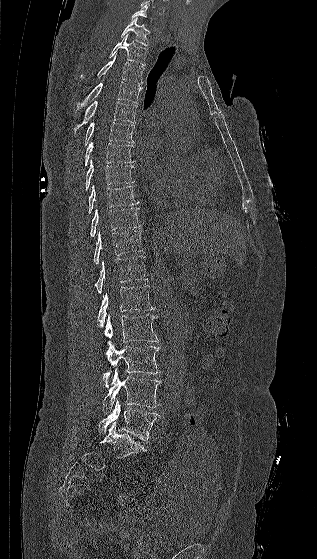 Spine computed tomography; sagittal reformat; image 317 mm wide
Boxes are given in columns x1, y1, x2, y2, the pixel coordinates of their top-left and bottom-right corners.
Each vertebra is boxed only on the slices from the first to the last where its cross-section reaches a third of its largest, so a slice outside that range leaves it unboxed.
| vertebra | x1 | y1 | x2 | y2 |
|---|---|---|---|---|
| T1 | 121 | 18 | 149 | 46 |
| T2 | 109 | 34 | 146 | 65 |
| T3 | 81 | 55 | 143 | 84 |
| T4 | 76 | 81 | 142 | 110 |
| T5 | 74 | 101 | 136 | 134 |
| T6 | 85 | 122 | 134 | 147 |
| T7 | 85 | 141 | 134 | 166 |
| T8 | 85 | 159 | 134 | 190 |
| T9 | 88 | 185 | 139 | 214 |
| T10 | 90 | 208 | 140 | 236 |
| T11 | 94 | 230 | 143 | 264 |
| T12 | 95 | 255 | 147 | 293 |
| L1 | 97 | 285 | 155 | 328 |
| L2 | 104 | 314 | 158 | 342 |
| L3 | 102 | 340 | 160 | 388 |
| L4 | 102 | 368 | 161 | 414 |
| L5 | 98 | 399 | 159 | 441 |